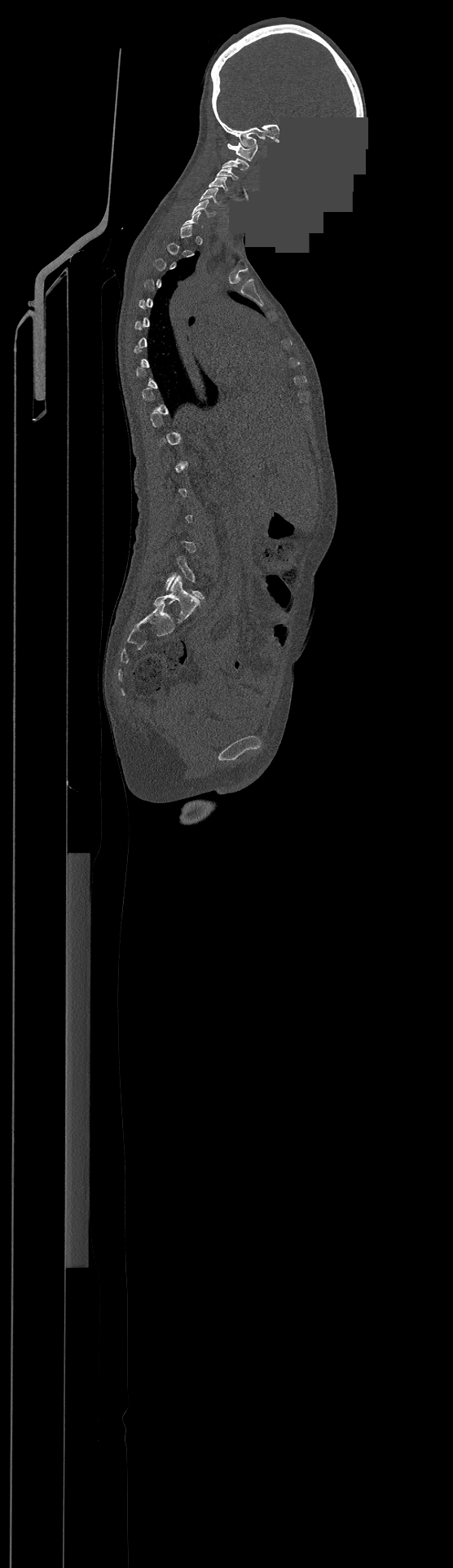 CT · sagittal view · 500 mm image width · a portion of the image is blanked out (constant pixel value)

Boxes are (x1, y1, x2, y2) in pixels.
A vertebra gets a box only on the slices from the first to the last where its cross-section is at least a third of its largest; on a slice outside that range it gets none.
This scan's labels start at C1 at the top and end at L4 at the bottom.
C1: (227, 143, 257, 161)
C2: (222, 157, 249, 170)
C3: (218, 168, 238, 179)
C4: (209, 177, 228, 191)
C5: (200, 188, 221, 204)
C6: (193, 200, 215, 217)
L4: (165, 556, 204, 599)